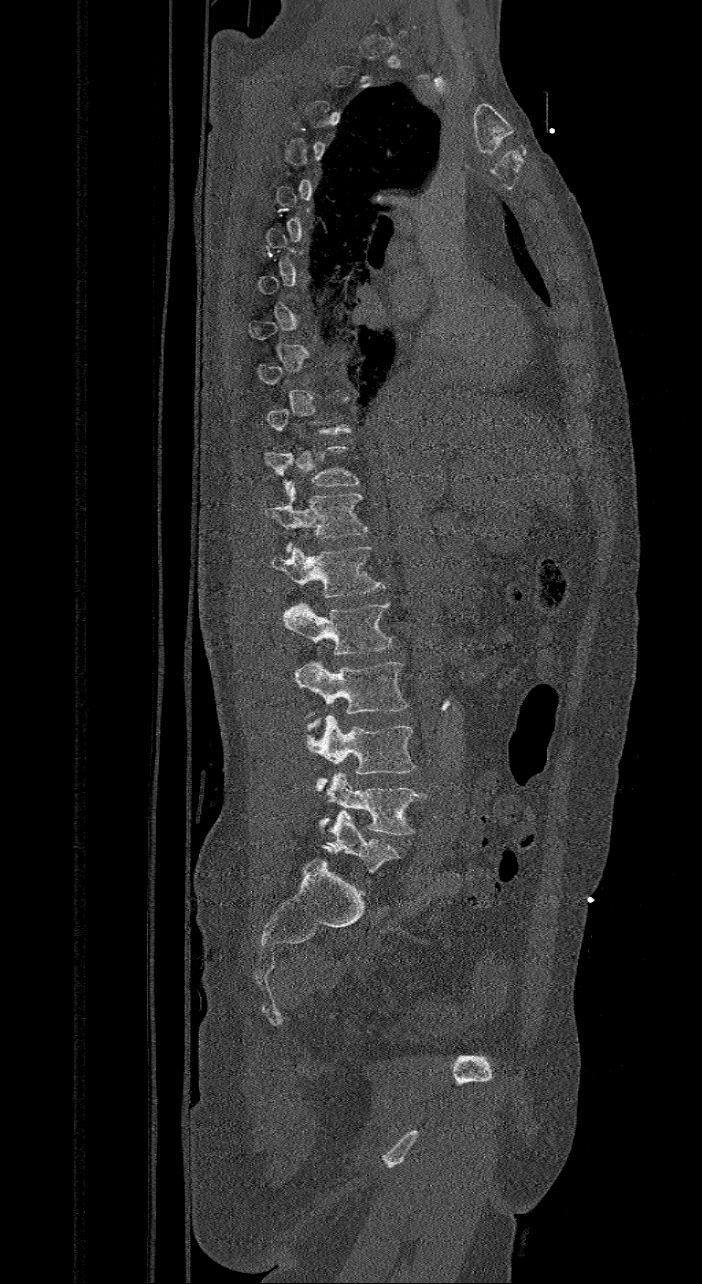

Spine CT · 421 mm across the image · sagittal view · W/L 1800/400 HU

Bounding boxes as [x1, y1, x2, y2] in pixel coordinates.
Not every vertebra on this slice has a box: a vertebra is boxed only from the first to the last slice where its cross-section is at least a third of its largest, and this slice is outside that range for at least one of them.
In these labels the spine has an L6, a sixth lumbar vertebra below L5.
T11: [264, 445, 359, 493]
T12: [264, 483, 368, 552]
L1: [271, 545, 384, 596]
L2: [282, 602, 392, 655]
L3: [295, 661, 407, 728]
L4: [304, 714, 416, 795]
L5: [319, 773, 425, 835]
L6: [322, 811, 399, 872]